Spine CT — Sagittal slice 337/512 — 512x789 px — scan covers 14 annotated vertebrae
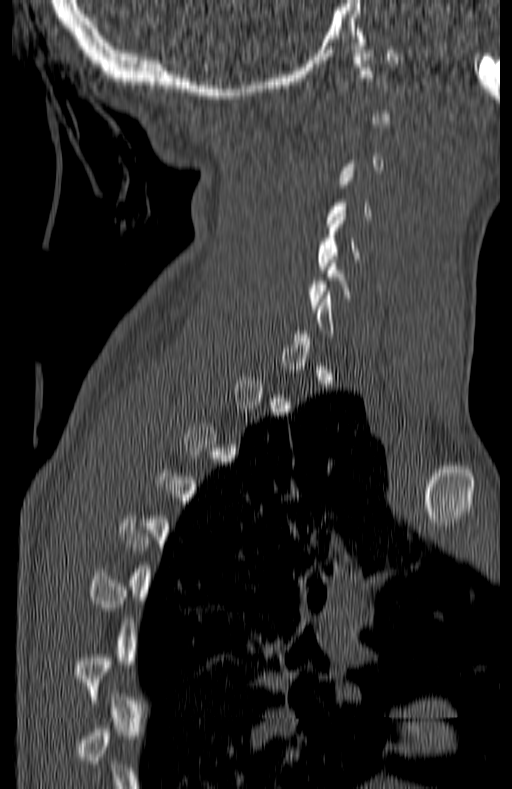
Boxes: x1:y1:x2:y2 in pixels.
A vertebra is boxed only from the first to the last slice where its cross-section is at least a third of its largest; slices outside that range leave it without a box.
C5: 317:210:361:269
C6: 308:256:353:308